Spine CT — Sagittal slice 231/512 — 512x843 px
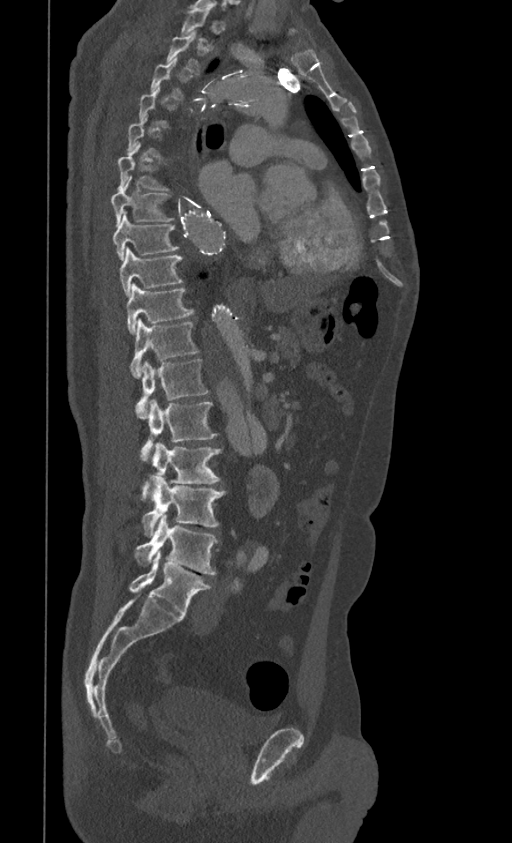

Each box given as x1,y1,x2,y2. A vertebra gets a box only on the slices from the first to the last where its cross-section is at least a third of its largest; on a slice outside that range it gets none. Vertebrae labeled: T1 at x1=181, y1=10, x2=213, y2=45, T2 at x1=167, y1=31, x2=200, y2=73, T6 at x1=118, y1=146, x2=170, y2=191, T7 at x1=111, y1=180, x2=175, y2=225, T8 at x1=113, y1=211, x2=179, y2=260, T9 at x1=119, y1=247, x2=182, y2=296, T10 at x1=127, y1=284, x2=194, y2=334, T11 at x1=129, y1=319, x2=199, y2=378, T12 at x1=136, y1=359, x2=208, y2=418, L1 at x1=140, y1=400, x2=217, y2=461, L2 at x1=142, y1=442, x2=221, y2=499, L3 at x1=142, y1=475, x2=226, y2=537, L4 at x1=135, y1=513, x2=218, y2=574, L5 at x1=129, y1=551, x2=211, y2=615.